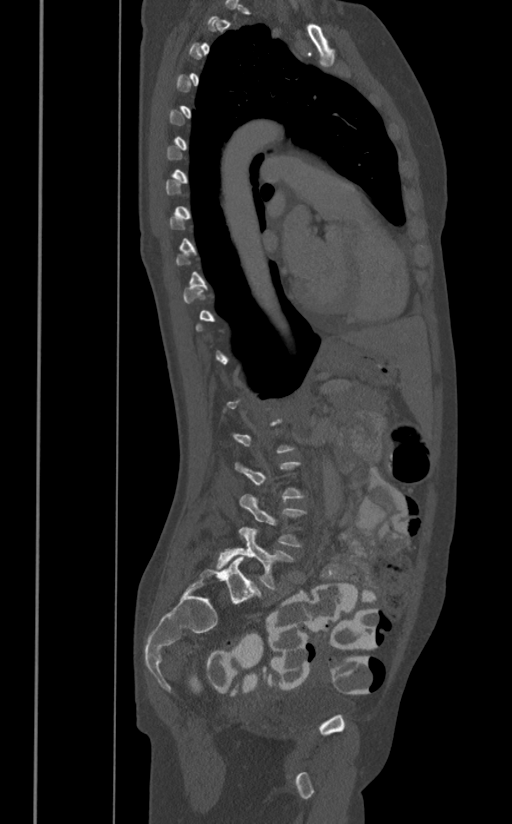 CT spine; sagittal view; bone window
Box values are [left, top, right, bottom] in pixels.
A vertebra gets a box only on the slices from the first to the last where its cross-section is at least a third of its largest; on a slice outside that range it gets none.
{"vertebrae":{"L4":[239,494,307,547],"L5":[216,527,293,589]}}